CT spine; image width 140 mm; sagittal plane, index 264
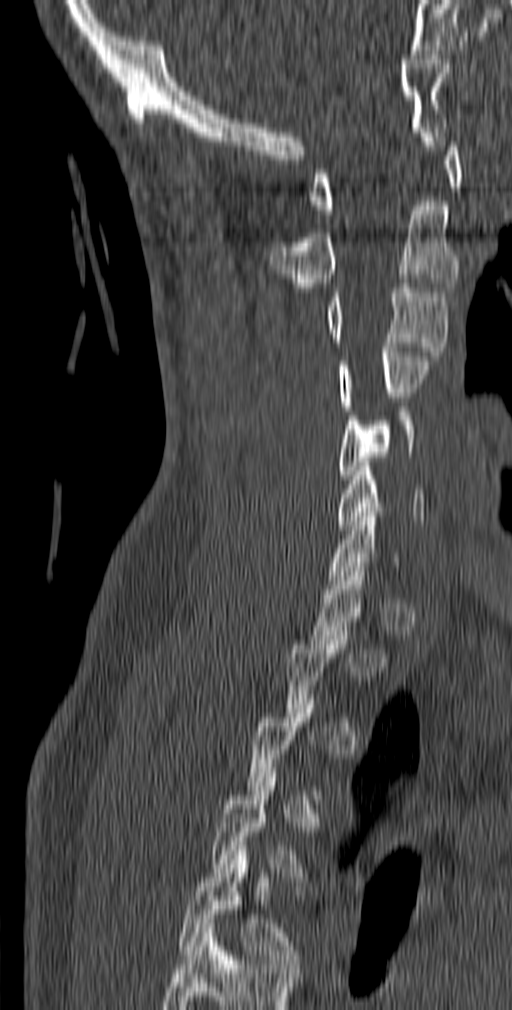

Each row gives a vertebra's box as x1, y1, x2, y2 in pixels: top-left corner, then bottom-right corner.
A vertebra is boxed only from the first to the last slice where its cross-section is at least a third of its largest; slices outside that range leave it without a box.
Labels in this scan begin with C1 at the top and end with T5 at the bottom.
| vertebra | x1 | y1 | x2 | y2 |
|---|---|---|---|---|
| C1 | 309 | 137 | 461 | 214 |
| C2 | 270 | 201 | 459 | 287 |
| C3 | 323 | 283 | 448 | 356 |
| C4 | 338 | 347 | 432 | 410 |
| C5 | 338 | 407 | 417 | 479 |
| C6 | 338 | 462 | 424 | 529 |
| T4 | 210 | 773 | 311 | 881 |
| T5 | 177 | 850 | 304 | 968 |